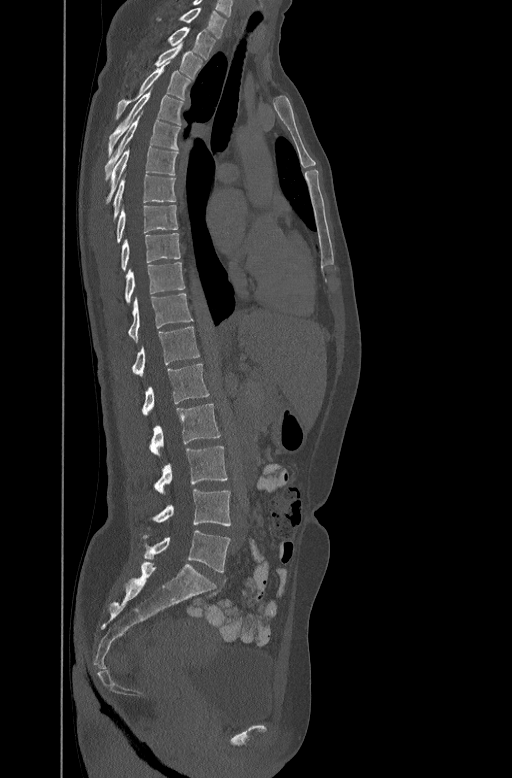

CT, spine — sagittal view — Bone window (WL 400, WW 1800) — image width 447 mm — 512x778 px
Boxes: x1:y1:x2:y2 in pixels.
Vertebra bounding boxes:
- L5: 144:530:230:572
- L4: 153:489:230:526
- L3: 155:446:227:493
- L2: 150:404:220:456
- L1: 142:363:209:415
- T12: 132:325:199:375
- T11: 128:292:193:341
- T10: 125:261:184:302
- T9: 120:232:180:270
- T8: 117:203:178:241
- T7: 111:173:175:218
- T6: 106:145:178:202
- T5: 105:114:181:179
- T4: 108:90:184:154
- T3: 116:63:191:117
- T2: 155:43:203:77
- T1: 168:27:215:58
- C7: 158:6:227:37